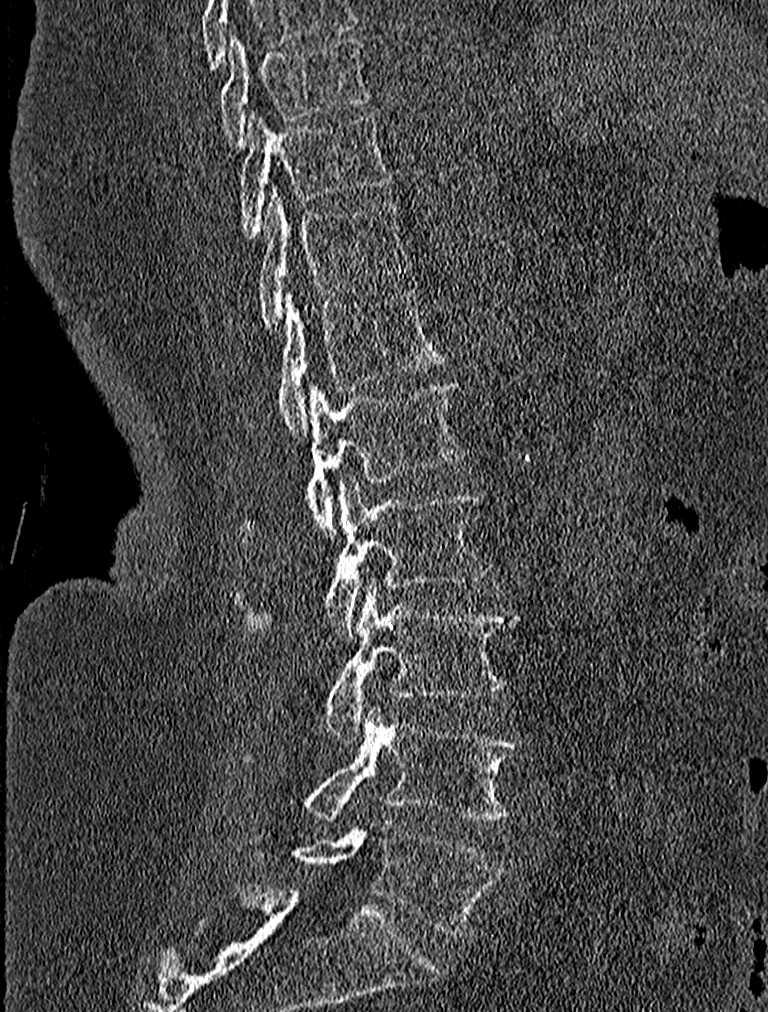 CT spine · image 227 mm wide · sagittal reformat · 768x1012 px
Box edges are left/top/right/bottom in pixels.
| vertebra | x1 | y1 | x2 | y2 |
|---|---|---|---|---|
| T9 | 219 | 33 | 370 | 148 |
| T10 | 239 | 111 | 394 | 237 |
| T11 | 254 | 187 | 411 | 331 |
| T12 | 276 | 288 | 444 | 437 |
| L1 | 236 | 382 | 465 | 532 |
| L2 | 259 | 477 | 488 | 640 |
| L3 | 327 | 580 | 519 | 742 |
| L4 | 303 | 705 | 523 | 823 |
| L5 | 293 | 821 | 499 | 935 |